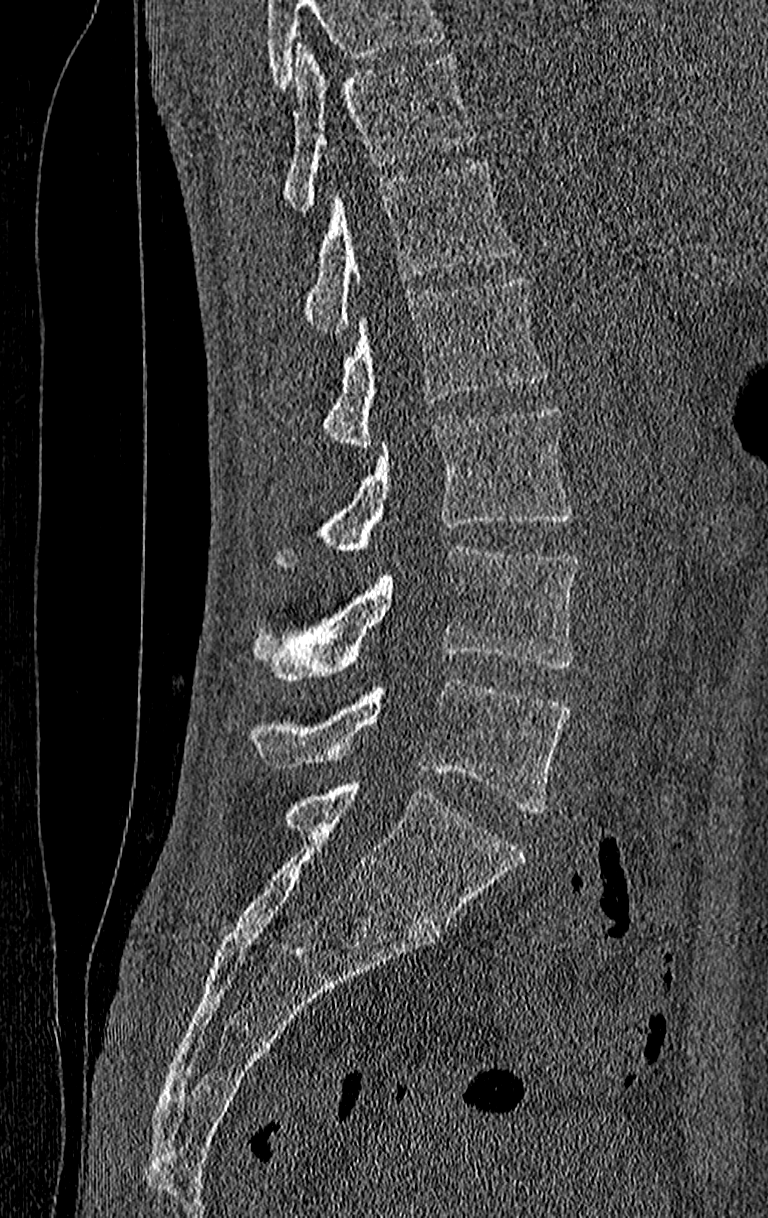

Spine CT · sagittal view · W/L 1800/400 HU
Box edges are left/top/right/bottom in pixels.
A vertebra cut off by the top edge of the scan is not labeled and has no box.
In this scan, the topmost labeled vertebra is T11 and the lowest is L4.
Vertebra bounding boxes:
- L4: left=247, top=678, right=568, bottom=812
- L3: left=251, top=546, right=579, bottom=680
- L2: left=277, top=406, right=572, bottom=567
- L1: left=320, top=275, right=550, bottom=450
- T12: left=302, top=161, right=517, bottom=333
- T11: left=284, top=44, right=477, bottom=211